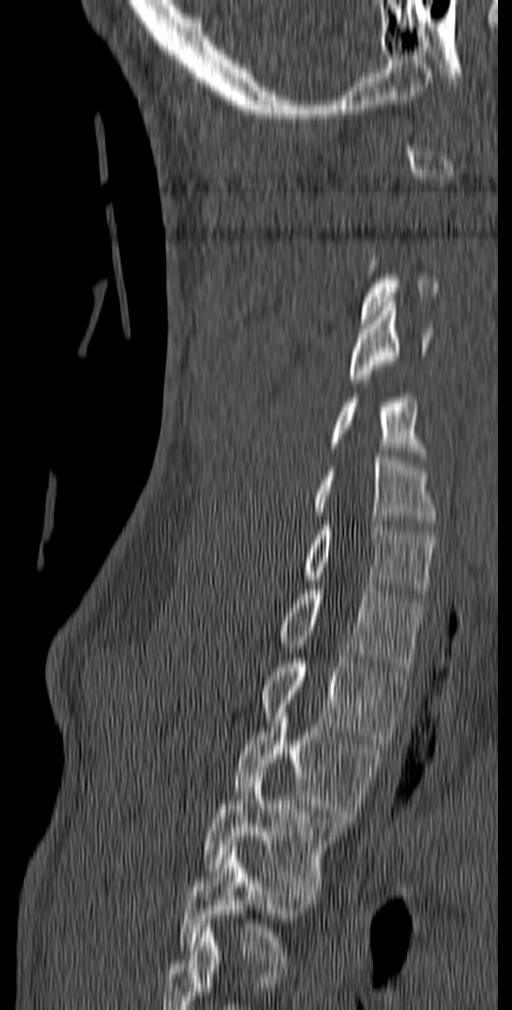

CT spine. sagittal reformat. Bone window (WL 400, WW 1800)
Boxes below are [x1, y1, x2, y2] in pixels.
A vertebra is boxed only from the first to the last slice where its cross-section is at least a third of its largest; slices outside that range leave it without a box.
In this scan, the topmost labeled vertebra is C1 and the lowest is T5.
{"vertebrae":{"C4":[349,302,432,383],"C5":[330,379,425,461],"C6":[313,453,436,525],"C7":[304,521,435,598],"T1":[279,585,425,671],"T2":[261,654,409,744],"T3":[235,718,381,822],"T4":[202,773,344,890],"T5":[178,846,313,968]}}